CT, spine; sagittal view; the image spans 250 mm across
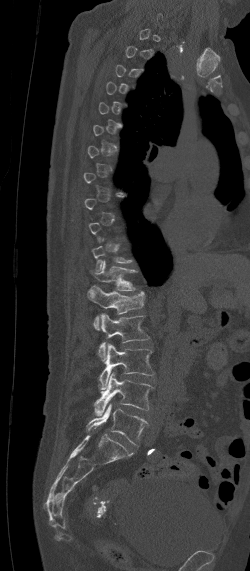 Boxes below are [x1, y1, x2, y2] in pixels.
Each vertebra is boxed only on the slices from the first to the last where its cross-section reaches a third of its largest, so a slice outside that range leaves it unboxed.
{"vertebrae":{"T12":[94,260,138,290],"L1":[87,285,144,329],"L2":[98,314,149,360],"L3":[96,344,153,389],"L4":[93,373,153,415],"L5":[86,404,147,444]}}